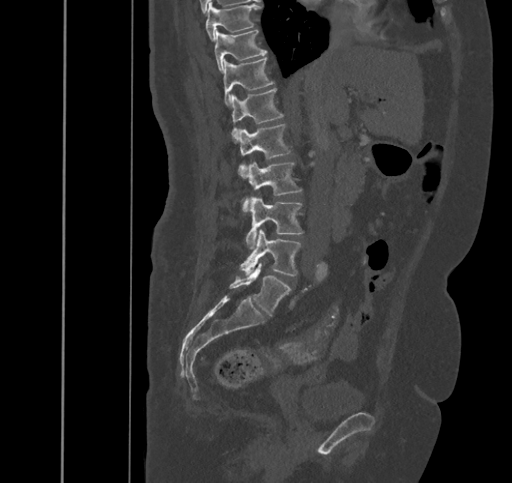
Spine CT — sagittal reformat — 512x483 px — image 445 mm wide
Boxes: x1:y1:x2:y2 in pixels.
Vertebra bounding boxes:
- T9: 206:2:260:40
- T10: 214:29:266:73
- T11: 223:57:274:107
- T12: 231:88:283:143
- L1: 235:123:290:178
- L2: 243:162:302:212
- L3: 245:197:303:249
- L4: 240:230:300:275
- L5: 229:263:290:316